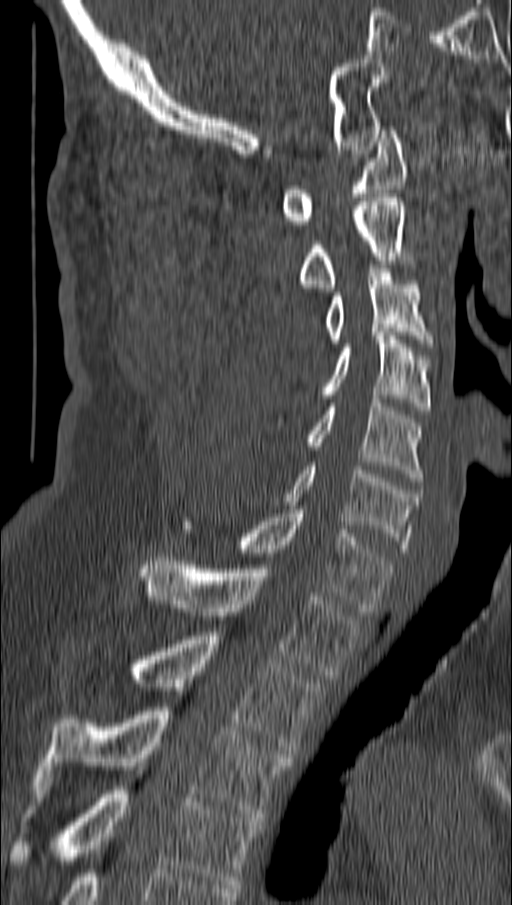 CT spine. sagittal view. bone-window reconstruction. 512x905 px. the image is 162 mm wide
Each vertebra maps to its box as [x1, y1, x2, y2], the pixel coordinates of its top-left and bottom-right corners.
{"vertebrae":{"C1":[279,130,408,228],"C2":[298,198,408,291],"C3":[323,269,433,347],"C4":[278,332,430,422],"C5":[304,399,424,481],"C6":[282,466,417,552],"C7":[181,510,392,611],"T1":[140,557,360,679],"T2":[127,632,319,754],"T3":[39,707,291,817],"T4":[7,786,259,888]}}